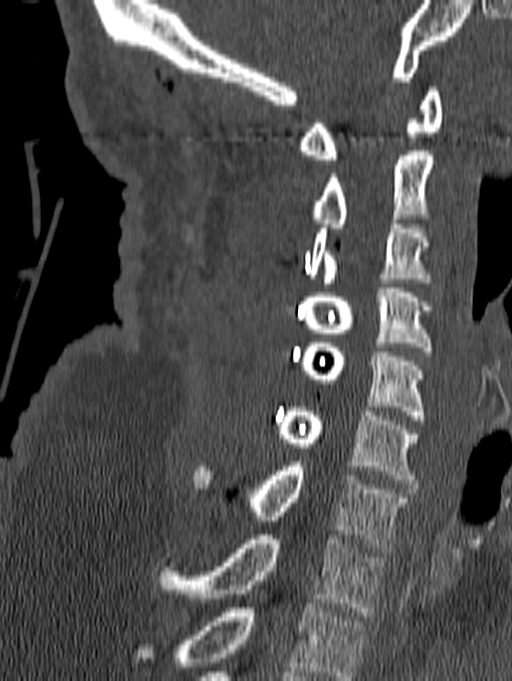

Spine CT. sagittal view. Bone window (WL 400, WW 1800)

Box edges are left/top/right/bottom in pixels.
Labels in this scan begin with C1 at the top and end with T1 at the bottom.
Vertebra bounding boxes:
- C1: left=299, top=87, right=442, bottom=164
- C2: left=309, top=151, right=433, bottom=232
- C3: left=309, top=219, right=432, bottom=287
- C4: left=304, top=288, right=432, bottom=356
- C5: left=301, top=338, right=425, bottom=424
- C6: left=279, top=407, right=417, bottom=484
- C7: left=195, top=462, right=410, bottom=552
- T1: left=159, top=535, right=384, bottom=616